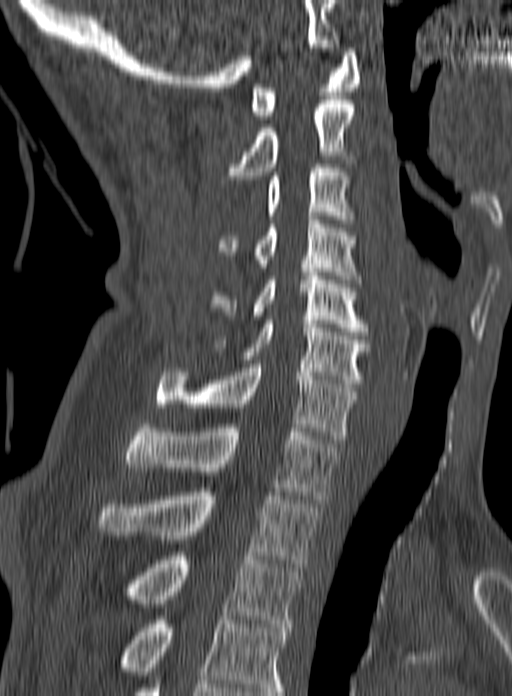 Spine computed tomography · sagittal view · Bone window (WL 400, WW 1800)
This scan's labels start at C1 at the top and end at T3 at the bottom.
<vertebrae><v name="C1" x1="251" y1="48" x2="361" y2="119"/><v name="C2" x1="227" y1="100" x2="356" y2="179"/><v name="C3" x1="266" y1="164" x2="353" y2="223"/><v name="C4" x1="218" y1="216" x2="360" y2="287"/><v name="C5" x1="211" y1="272" x2="368" y2="335"/><v name="C6" x1="210" y1="320" x2="370" y2="383"/><v name="C7" x1="155" y1="364" x2="356" y2="443"/><v name="T1" x1="125" y1="420" x2="339" y2="499"/><v name="T2" x1="97" y1="488" x2="317" y2="567"/><v name="T3" x1="120" y1="552" x2="301" y2="627"/></vertebrae>